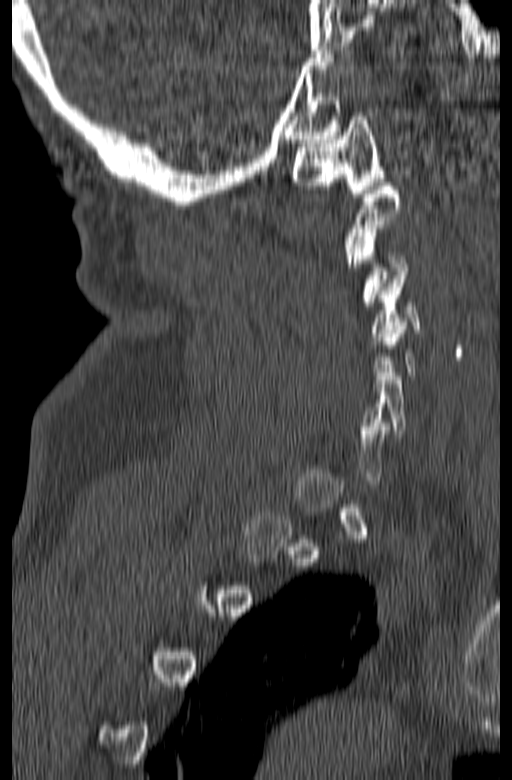
Spine computed tomography; sagittal view; 512x780 px; 165 mm image width

Box edges are left/top/right/bottom in pixels.
A vertebra gets a box only on the slices from the first to the last where its cross-section is at least a third of its largest; on a slice outside that range it gets none.
Vertebra bounding boxes:
- C1: left=292, top=112, right=384, bottom=197
- C3: left=352, top=225, right=410, bottom=305
- C4: left=370, top=272, right=422, bottom=344